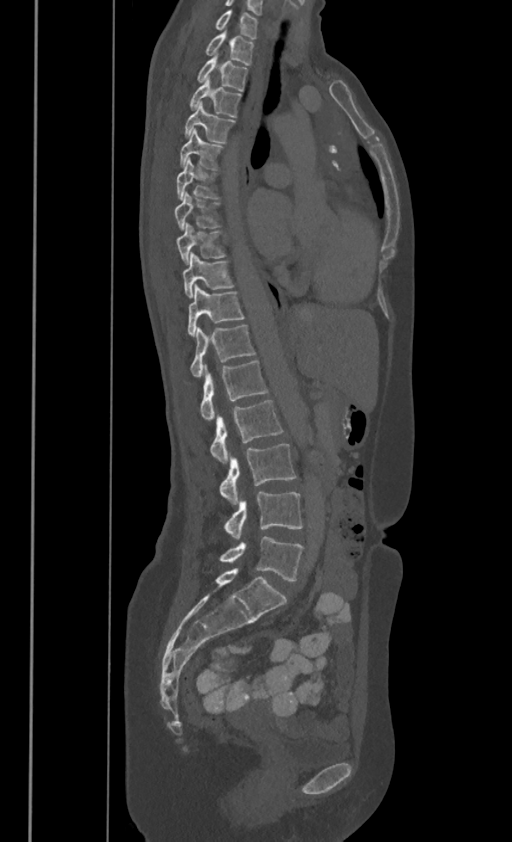

Spine CT. sagittal view

Each box given as x1,y1,x2,y2.
In these labels the spine has no T12: the thoracic vertebrae end at T11, and L1 comes next.
Vertebra bounding boxes:
- C7: x1=215, y1=8, x2=257, y2=37
- T1: x1=205, y1=30, x2=254, y2=63
- T2: x1=197, y1=54, x2=247, y2=90
- T3: x1=190, y1=76, x2=240, y2=115
- T4: x1=184, y1=101, x2=235, y2=142
- T5: x1=180, y1=128, x2=222, y2=169
- T6: x1=176, y1=158, x2=219, y2=197
- T7: x1=175, y1=191, x2=220, y2=228
- T8: x1=176, y1=221, x2=226, y2=263
- T9: x1=183, y1=252, x2=234, y2=296
- T10: x1=187, y1=283, x2=244, y2=334
- T11: x1=190, y1=324, x2=255, y2=375
- L1: x1=200, y1=359, x2=267, y2=420
- L2: x1=209, y1=399, x2=283, y2=462
- L3: x1=219, y1=444, x2=296, y2=504
- L4: x1=224, y1=492, x2=303, y2=539
- L5: x1=220, y1=537, x2=303, y2=580